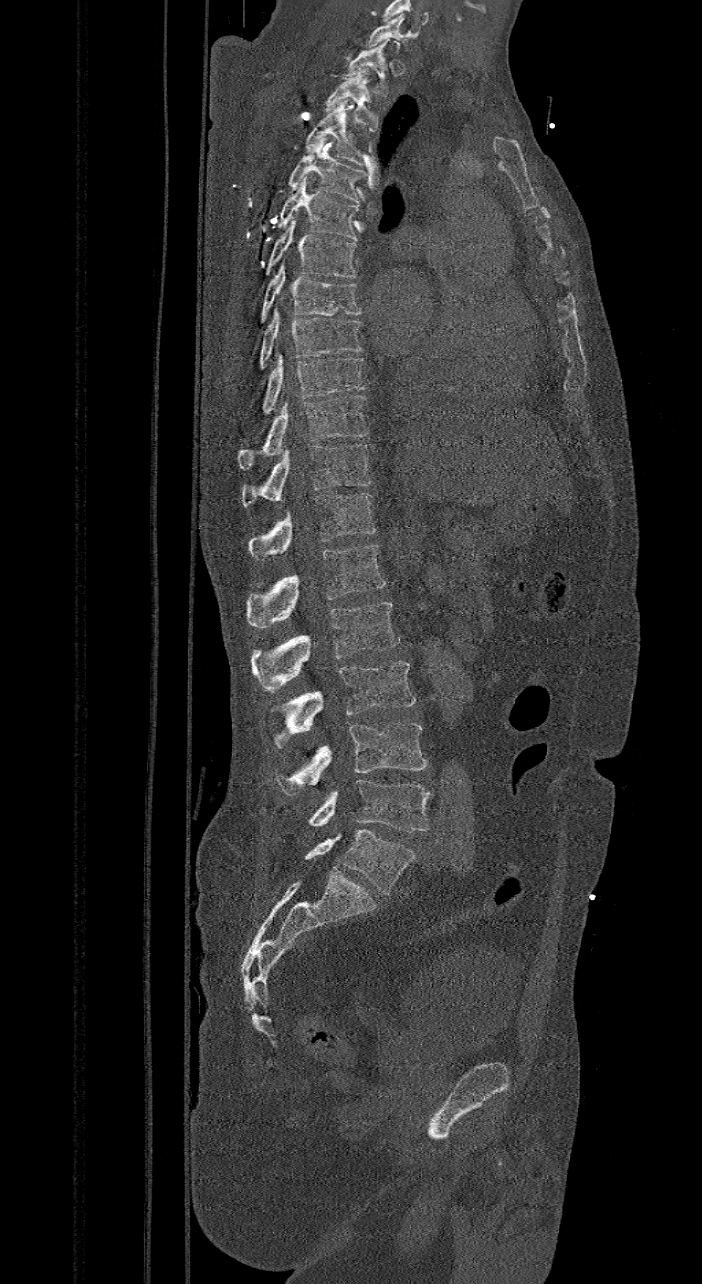
Computed tomography of the spine. sagittal view. W/L 1800/400 HU
In these labels the spine has an L6, a sixth lumbar vertebra below L5.
<vertebrae><v name="C7" x1="365" y1="14" x2="407" y2="48"/><v name="T1" x1="344" y1="39" x2="390" y2="94"/><v name="T2" x1="325" y1="69" x2="377" y2="131"/><v name="T3" x1="306" y1="99" x2="364" y2="165"/><v name="T4" x1="288" y1="137" x2="366" y2="203"/><v name="T5" x1="277" y1="175" x2="358" y2="238"/><v name="T6" x1="263" y1="216" x2="359" y2="278"/><v name="T7" x1="259" y1="261" x2="364" y2="323"/><v name="T8" x1="259" y1="305" x2="362" y2="369"/><v name="T9" x1="262" y1="350" x2="366" y2="414"/><v name="T10" x1="238" y1="395" x2="369" y2="469"/><v name="T11" x1="241" y1="444" x2="370" y2="506"/><v name="T12" x1="248" y1="492" x2="376" y2="560"/><v name="L1" x1="247" y1="545" x2="385" y2="629"/><v name="L2" x1="252" y1="600" x2="399" y2="690"/><v name="L3" x1="275" y1="661" x2="416" y2="748"/><v name="L4" x1="275" y1="723" x2="427" y2="795"/><v name="L5" x1="308" y1="779" x2="432" y2="832"/><v name="L6" x1="304" y1="829" x2="414" y2="893"/></vertebrae>